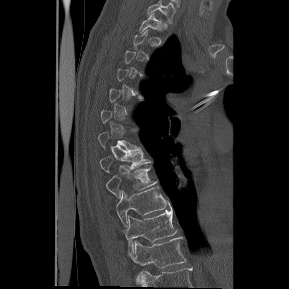 CT, spine · sagittal reformat · bone window

Boxes: x1 y1 x2 y2 (pixel coords, space-separated).
Not every vertebra on this slice has a box: a vertebra is boxed only from the first to the last slice where its cross-section is at least a third of its largest, and this slice is outside that range for at least one of them.
This scan's labels start at T1 at the top and end at T12 at the bottom.
Vertebra bounding boxes:
- T1: 139 13 162 32
- T8: 99 150 151 172
- T9: 106 166 156 197
- T10: 116 185 167 226
- T11: 123 203 177 253
- T12: 129 237 186 268